CT spine — sagittal view — 444x709 px — the image is 444 mm wide — scan covers 17 annotated vertebrae
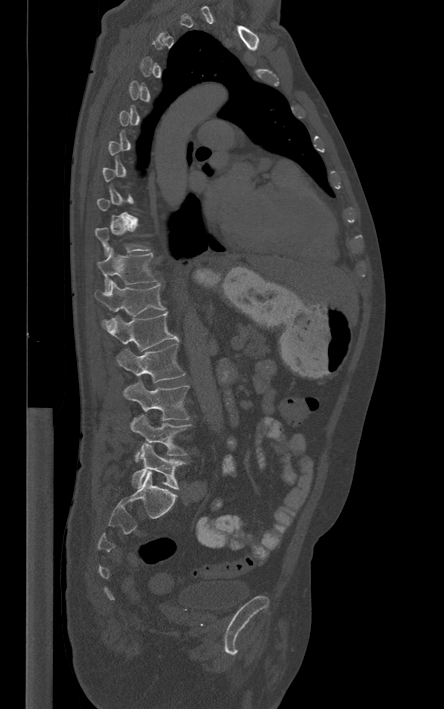
A vertebra is boxed only from the first to the last slice where its cross-section is at least a third of its largest; slices outside that range leave it without a box.
<vertebrae><v name="T11" x1="97" y1="247" x2="156" y2="291"/><v name="T12" x1="94" y1="279" x2="165" y2="316"/><v name="L1" x1="102" y1="312" x2="179" y2="350"/><v name="L2" x1="116" y1="344" x2="185" y2="382"/><v name="L3" x1="123" y1="380" x2="190" y2="420"/><v name="L4" x1="130" y1="414" x2="191" y2="462"/><v name="L5" x1="132" y1="443" x2="184" y2="489"/></vertebrae>